Spine CT. sagittal reformat
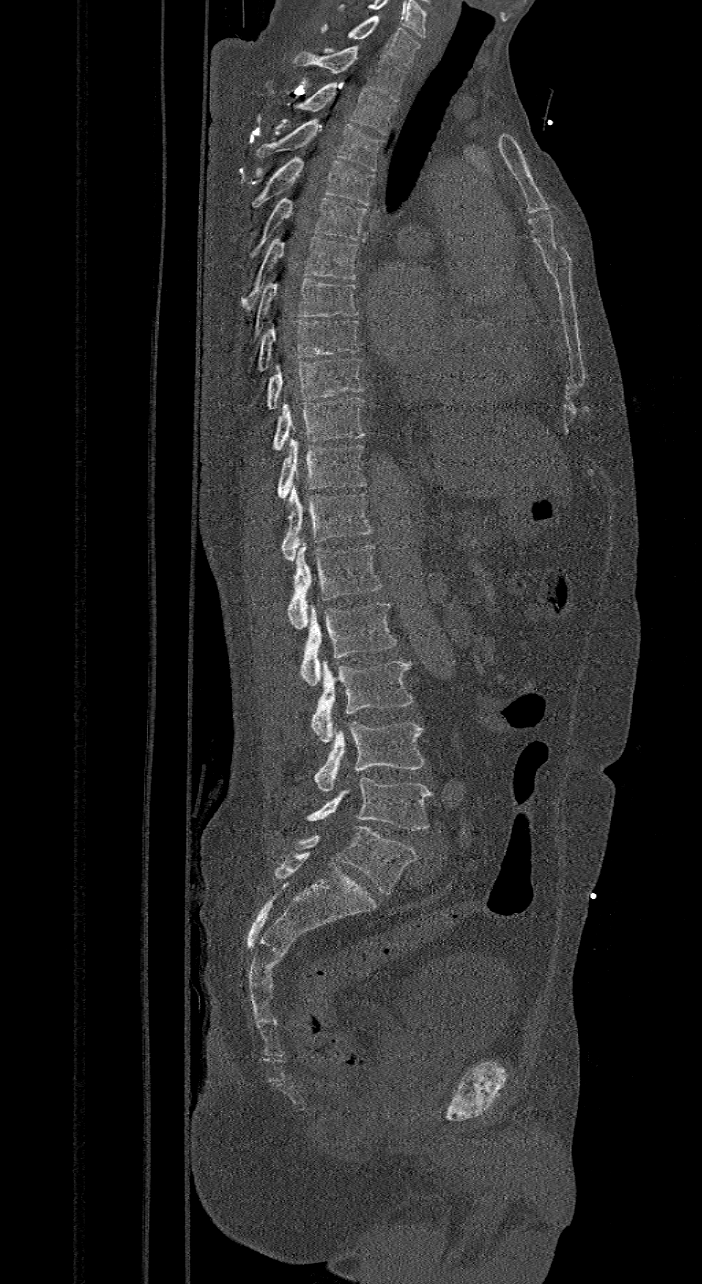

Box values are [left, top, right, bottom] in pixels.
In these labels the spine has an L6, a sixth lumbar vertebra below L5.
{"vertebrae":{"L6":[275,826,416,893],"L5":[307,778,432,830],"L4":[314,721,425,792],"L3":[310,661,412,742],"L2":[300,602,398,687],"L1":[286,545,383,628],"T12":[281,485,372,560],"T11":[277,438,365,497],"T10":[271,397,365,449],"T9":[266,358,364,409],"T8":[256,320,361,371],"T7":[252,278,359,341],"T6":[240,235,359,311],"T5":[249,197,368,257],"T4":[252,156,375,208],"T3":[256,119,383,171],"T2":[296,82,395,135],"T1":[293,45,407,101],"C7":[319,15,420,68]}}